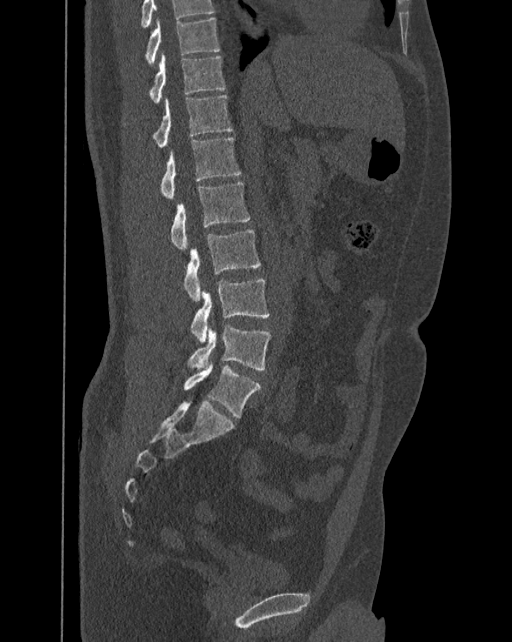
Computed tomography of the spine. sagittal view. 392 mm across the image. Bone window (WL 400, WW 1800)

Boxes are (x1, y1, x2, y2) in pixels.
Labels in this scan begin with T10 at the top and end with L6 at the bottom.
The labels name a sixth lumbar vertebra for this spine: L6, after L5.
Vertebra bounding boxes:
- T10: (145, 18, 220, 64)
- T11: (150, 52, 225, 102)
- T12: (153, 94, 231, 147)
- L1: (160, 138, 240, 199)
- L2: (171, 182, 250, 251)
- L3: (184, 229, 260, 300)
- L4: (191, 279, 269, 343)
- L5: (188, 324, 271, 370)
- L6: (184, 361, 260, 417)